CT spine; sagittal reformat; Bone window (WL 400, WW 1800); 250x671 px
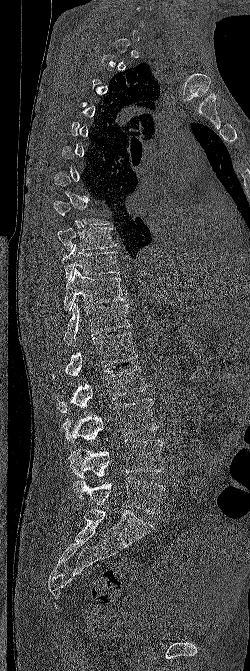

Box edges are left/top/right/bottom in pixels.
A vertebra is boxed only from the first to the last slice where its cross-section is at least a third of its largest; slices outside that range leave it without a box.
Vertebra bounding boxes:
- T9: left=57, top=227, right=118, bottom=250
- T10: left=61, top=244, right=119, bottom=281
- T11: left=64, top=268, right=127, bottom=312
- T12: left=64, top=302, right=132, bottom=346
- L1: left=52, top=332, right=138, bottom=378
- L2: left=54, top=366, right=147, bottom=412
- L3: left=62, top=398, right=158, bottom=444
- L4: left=68, top=439, right=163, bottom=478
- L5: left=73, top=477, right=164, bottom=513